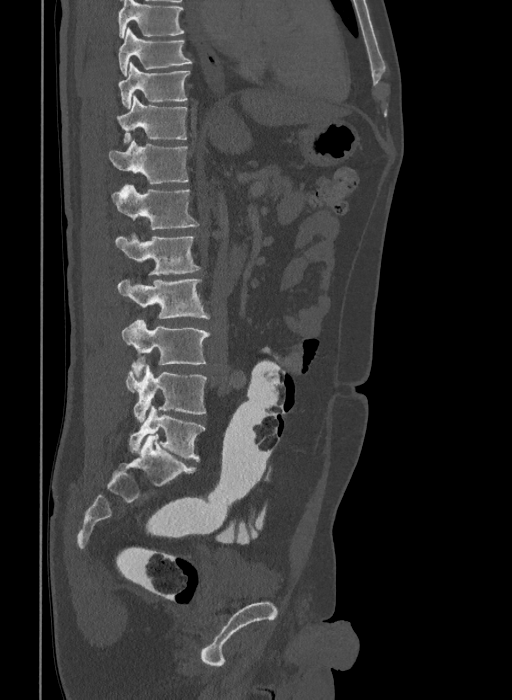 CT; sagittal view

Boxes below are [x1, y1, x2, y2] in pixels.
Labels in this scan begin with T9 at the top and end with L6 at the bottom.
These labels give the spine a sixth lumbar vertebra, L6, below L5.
{"vertebrae":{"T9":[118,27,192,76],"T10":[118,62,189,108],"T11":[116,96,187,142],"T12":[109,140,188,184],"L1":[111,185,199,229],"L2":[115,232,199,274],"L3":[118,279,209,319],"L4":[122,319,210,376],"L5":[126,365,207,421],"L6":[129,406,205,461]}}